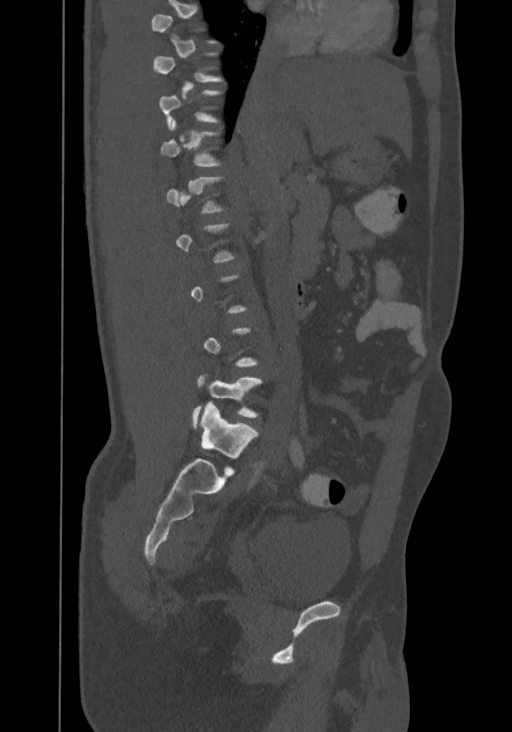
Computed tomography of the spine · sagittal reformat
Each vertebra maps to its box as [x1, y1, x2, y2], the pixel coordinates of its top-left and bottom-right corners.
A vertebra gets a box only on the slices from the first to the last where its cross-section is at least a third of its largest; on a slice outside that range it gets none.
The highest labeled vertebra in this scan is T8; the lowest is L4.
{"vertebrae":{"L4":[193,377,261,428],"T11":[160,119,218,166]}}